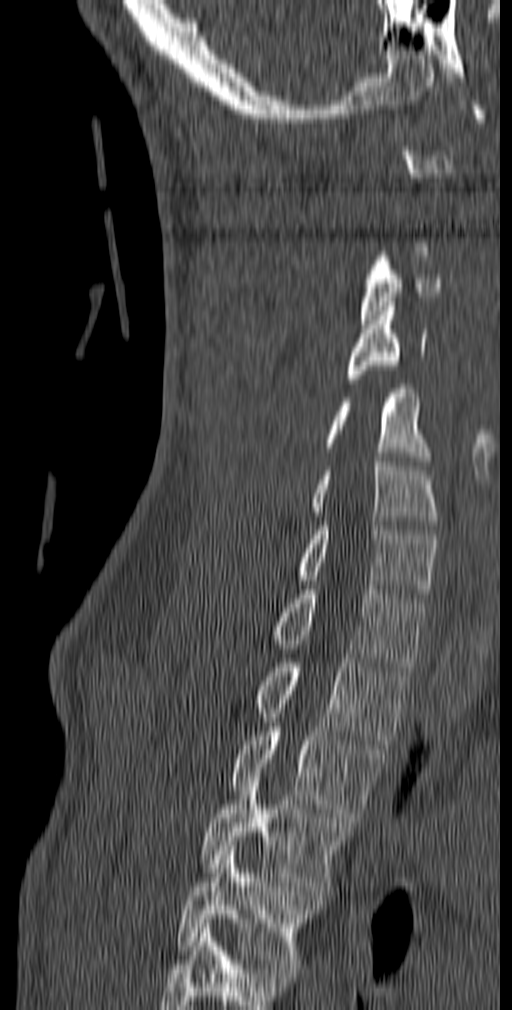
CT, spine. sagittal view. Bone window (WL 400, WW 1800). image 140 mm wide

Each box given as x1,y1,x2,y2. A vertebra gets a box only on the slices from the first to the last where its cross-section is at least a third of its largest; on a slice outside that range it gets none. The highest labeled vertebra in this scan is C1; the lowest is T5. The labeled vertebrae in this slice are: T5 at x1=176, y1=846, x2=319, y2=968, T4 at x1=199, y1=777, x2=352, y2=900, T3 at x1=228, y1=727, x2=385, y2=822, T2 at x1=254, y1=654, x2=411, y2=744, T1 at x1=271, y1=585, x2=427, y2=671, C7 at x1=298, y1=521, x2=438, y2=598, C6 at x1=311, y1=457, x2=439, y2=529, C5 at x1=323, y1=384, x2=432, y2=465, C4 at x1=347, y1=302, x2=427, y2=383, C3 at x1=360, y1=256, x2=443, y2=324.